CT, spine · Sagittal slice 172/340 · 340x297 px
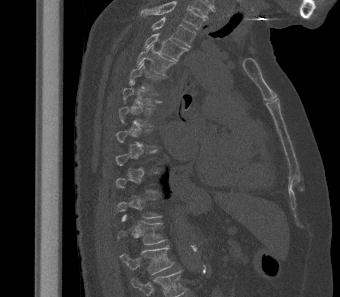

Each box given as x1,y1,x2,y2.
Each vertebra is boxed only on the slices from the first to the last where its cross-section reaches a third of its largest, so a slice outside that range leaves it unboxed.
Labels in this scan begin with T2 at the top and end with L1 at the bottom.
| vertebra | x1 | y1 | x2 | y2 |
|---|---|---|---|---|
| T2 | 151 | 17 | 196 | 47 |
| T3 | 144 | 33 | 188 | 60 |
| T4 | 136 | 44 | 175 | 76 |
| T5 | 129 | 62 | 164 | 90 |
| T6 | 122 | 81 | 161 | 105 |
| T7 | 118 | 106 | 153 | 126 |
| T12 | 118 | 214 | 167 | 245 |
| L1 | 120 | 246 | 174 | 275 |